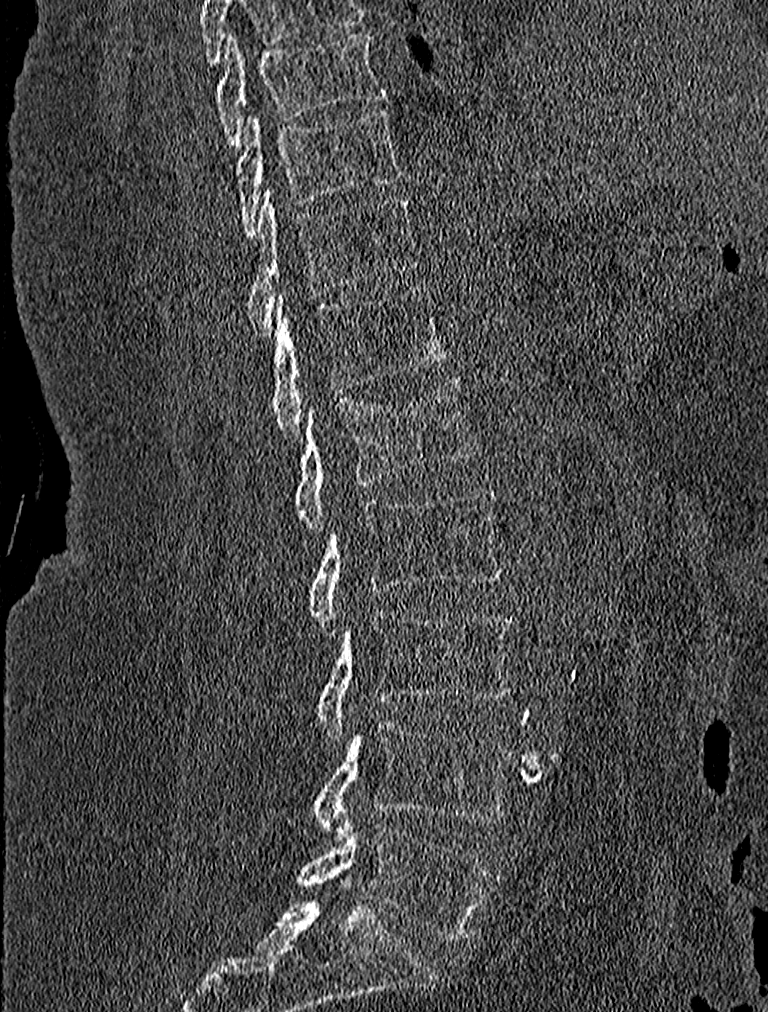 CT spine — sagittal view — Bone window (WL 400, WW 1800) — 768x1012 px
<vertebrae><v name="T9" x1="215" y1="33" x2="387" y2="148"/><v name="T10" x1="236" y1="108" x2="404" y2="237"/><v name="T11" x1="246" y1="187" x2="417" y2="334"/><v name="T12" x1="269" y1="285" x2="448" y2="441"/><v name="L1" x1="293" y1="376" x2="478" y2="529"/><v name="L2" x1="307" y1="487" x2="505" y2="626"/><v name="L3" x1="317" y1="611" x2="515" y2="739"/><v name="L4" x1="310" y1="719" x2="513" y2="839"/><v name="L5" x1="297" y1="821" x2="492" y2="941"/></vertebrae>